Spine computed tomography. sagittal view
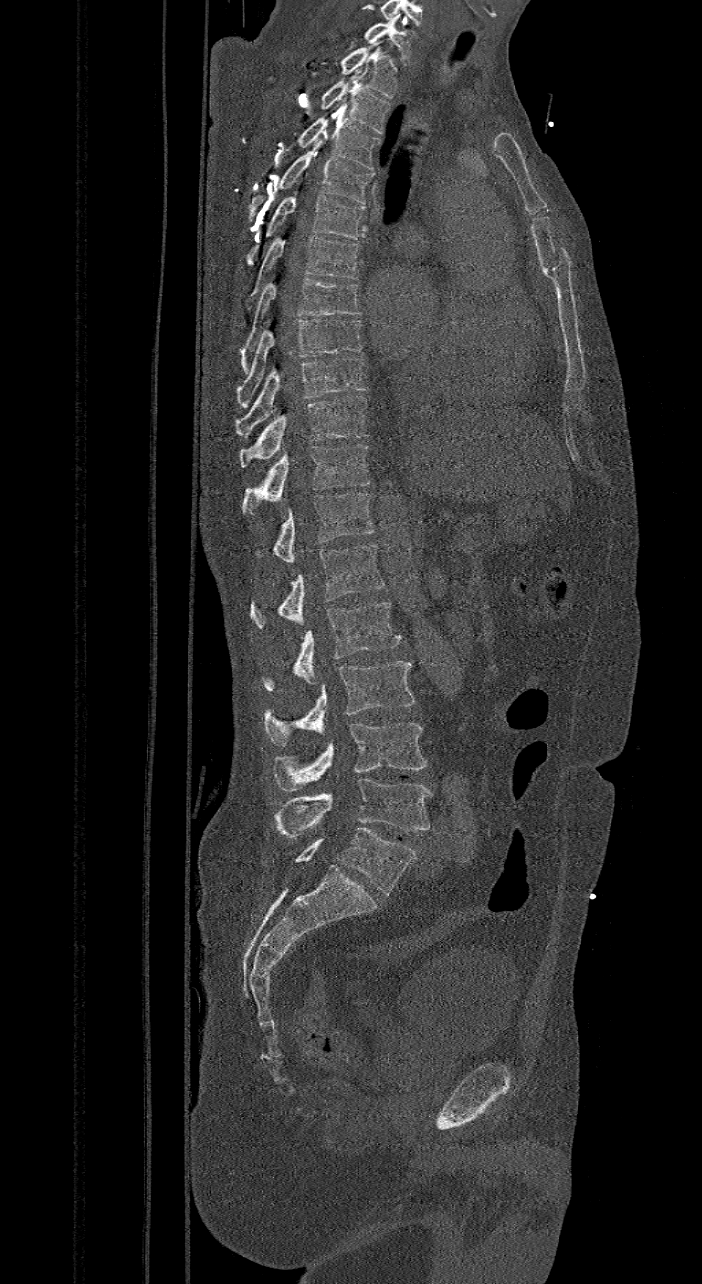

Bounding boxes as [x1, y1, x2, y2] in pixel coordinates.
In this scan, the topmost labeled vertebra is C7 and the lowest is L6.
These labels give the spine a sixth lumbar vertebra, L6, below L5.
C7: [365, 17, 413, 64]
T1: [341, 40, 398, 98]
T2: [321, 69, 388, 133]
T3: [299, 105, 380, 169]
T4: [247, 141, 373, 221]
T5: [245, 189, 364, 266]
T6: [244, 235, 361, 309]
T7: [240, 277, 364, 373]
T8: [238, 318, 362, 407]
T9: [234, 357, 368, 437]
T10: [240, 395, 369, 466]
T11: [241, 444, 370, 512]
T12: [255, 492, 375, 562]
L1: [249, 545, 384, 628]
L2: [260, 602, 401, 692]
L3: [264, 661, 416, 748]
L4: [273, 723, 427, 792]
L5: [275, 779, 432, 839]
L6: [295, 828, 416, 895]